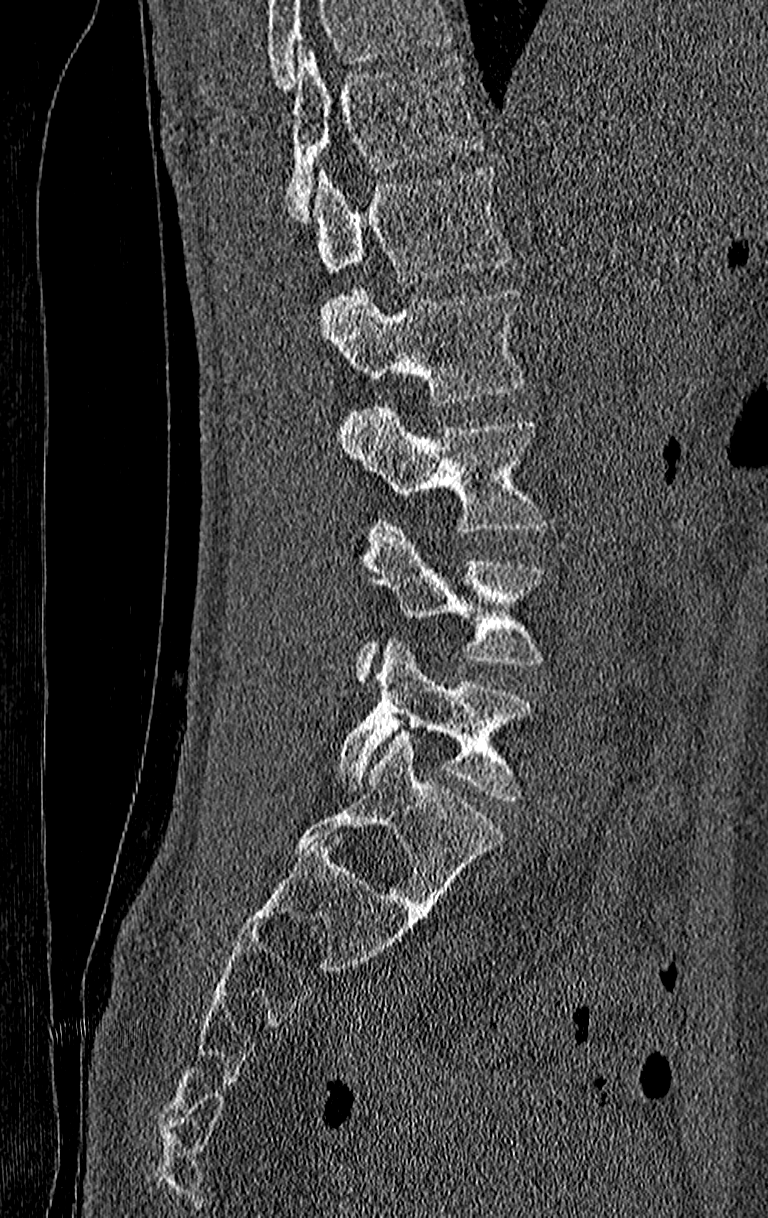 Spine CT · sagittal reformat · Bone window (WL 400, WW 1800)
Each vertebra maps to its box as [x1, y1, x2, y2], the pixel coordinates of its top-left and bottom-right corners.
Vertebrae that run past the top of the scan are left unlabeled.
The highest labeled vertebra in this scan is T11; the lowest is L4.
{"vertebrae":{"L4":[339,640,532,800],"L3":[357,520,543,684],"L2":[342,403,546,534],"L1":[320,286,524,405],"T12":[313,166,510,285],"T11":[288,46,480,223]}}